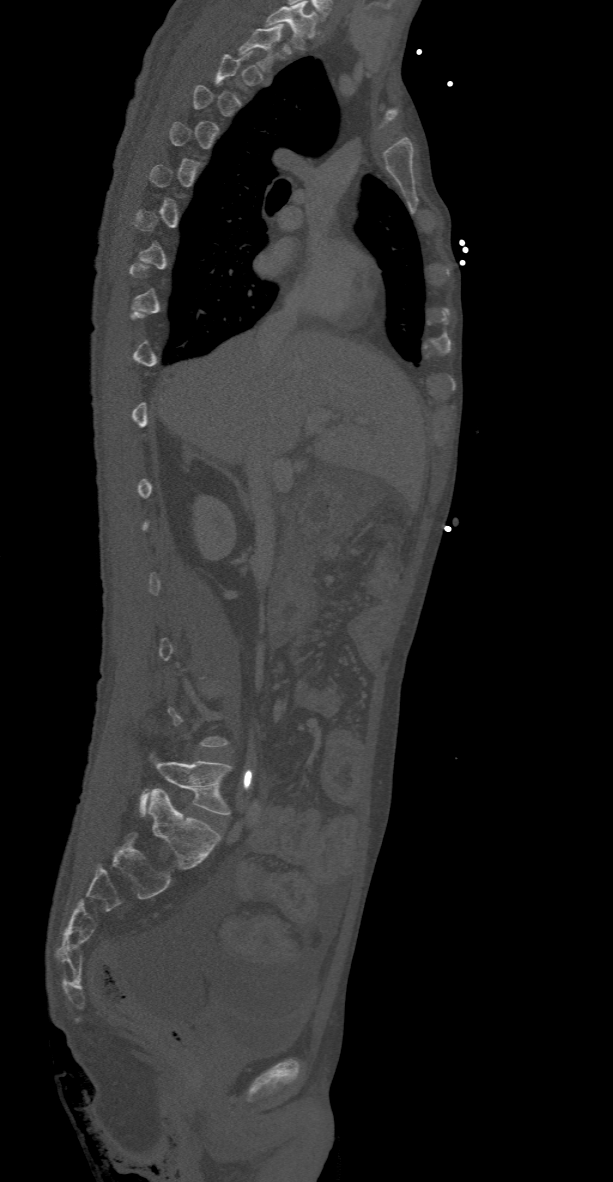

Spine computed tomography. sagittal view
Boxes below are [x1, y1, x2, y2] in pixels.
A vertebra is boxed only from the first to the last slice where its cross-section is at least a third of its largest; slices outside that range leave it without a box.
This scan's labels start at T2 at the top and end at L5 at the bottom.
{"vertebrae":{"T2":[238,24,284,71],"L5":[139,761,230,816]}}